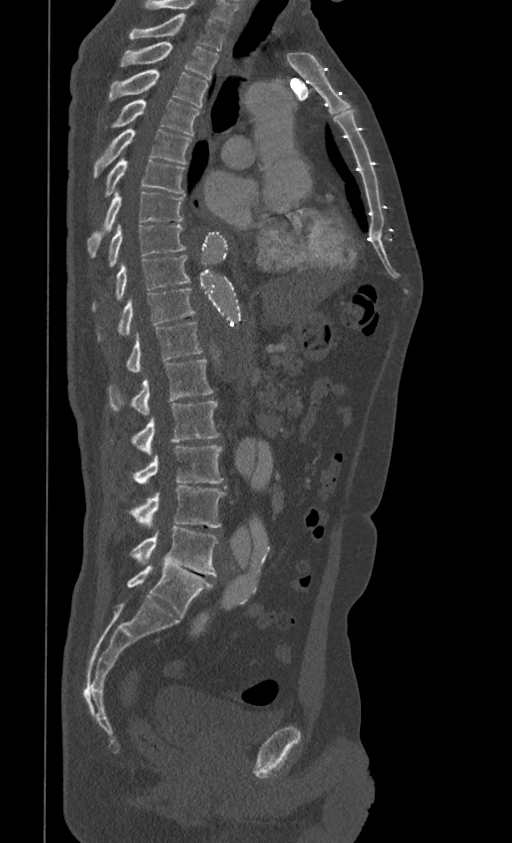
Spine CT · sagittal view · bone-window reconstruction

Boxes are (x1, y1, x2, y2) in pixels.
This scan's labels start at T1 at the top and end at L5 at the bottom.
Vertebra bounding boxes:
- T1: (129, 13, 227, 50)
- T2: (119, 42, 219, 80)
- T3: (109, 70, 208, 106)
- T4: (110, 99, 199, 135)
- T5: (94, 128, 191, 177)
- T6: (104, 157, 185, 196)
- T7: (87, 192, 184, 255)
- T8: (108, 224, 185, 267)
- T9: (92, 255, 190, 311)
- T10: (97, 288, 195, 341)
- T11: (126, 322, 203, 371)
- T12: (109, 359, 213, 415)
- L1: (110, 401, 220, 454)
- L2: (132, 446, 223, 483)
- L3: (129, 485, 225, 527)
- L4: (131, 527, 217, 576)
- L5: (127, 565, 213, 616)